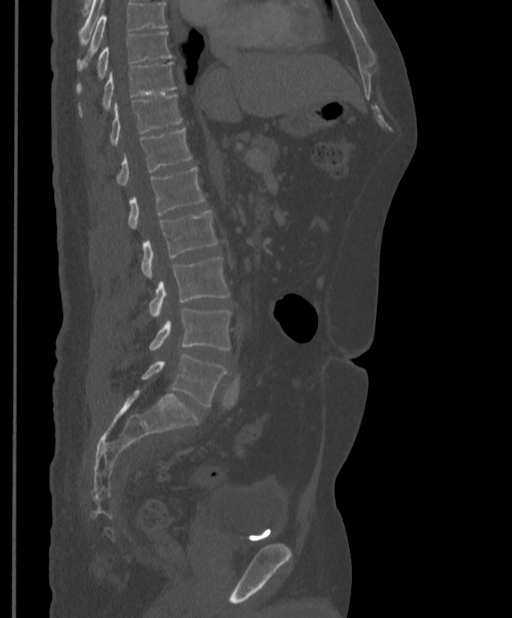 Spine CT · 397 mm wide · sagittal view · Bone window (WL 400, WW 1800)
Where the top of the scan cuts through a vertebra, that vertebra gets no label or box.
<vertebrae><v name="T9" x1="77" y1="31" x2="172" y2="91"/><v name="T10" x1="80" y1="62" x2="177" y2="115"/><v name="T11" x1="109" y1="94" x2="182" y2="145"/><v name="T12" x1="116" y1="128" x2="191" y2="186"/><v name="L1" x1="128" y1="166" x2="204" y2="229"/><v name="L2" x1="140" y1="210" x2="218" y2="279"/><v name="L3" x1="149" y1="257" x2="230" y2="318"/><v name="L4" x1="149" y1="308" x2="230" y2="351"/><v name="L5" x1="142" y1="355" x2="226" y2="407"/></vertebrae>